CT — sagittal view — image 165 mm wide — Bone window (WL 400, WW 1800)
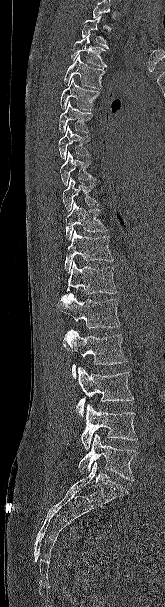 Columns x1, y1, x2, y2 give each box's top-left and bottom-right pixels.
A vertebra cut off by the top edge of the scan is not labeled and has no box.
| vertebra | x1 | y1 | x2 | y2 |
|---|---|---|---|---|
| T2 | 81 | 15 | 108 | 48 |
| T3 | 71 | 34 | 107 | 67 |
| T4 | 64 | 55 | 105 | 88 |
| T5 | 60 | 78 | 100 | 110 |
| T6 | 59 | 101 | 92 | 134 |
| T7 | 58 | 125 | 90 | 159 |
| T8 | 60 | 151 | 96 | 186 |
| T9 | 62 | 178 | 98 | 211 |
| T10 | 65 | 202 | 107 | 241 |
| T11 | 64 | 230 | 113 | 273 |
| T12 | 66 | 261 | 117 | 294 |
| L1 | 58 | 293 | 121 | 328 |
| L2 | 63 | 329 | 127 | 379 |
| L3 | 76 | 367 | 133 | 417 |
| L4 | 81 | 404 | 137 | 450 |
| L5 | 78 | 434 | 137 | 480 |